CT, spine. 443 mm image width. Sagittal slice 266/512. Bone window (WL 400, WW 1800). 512x850 px
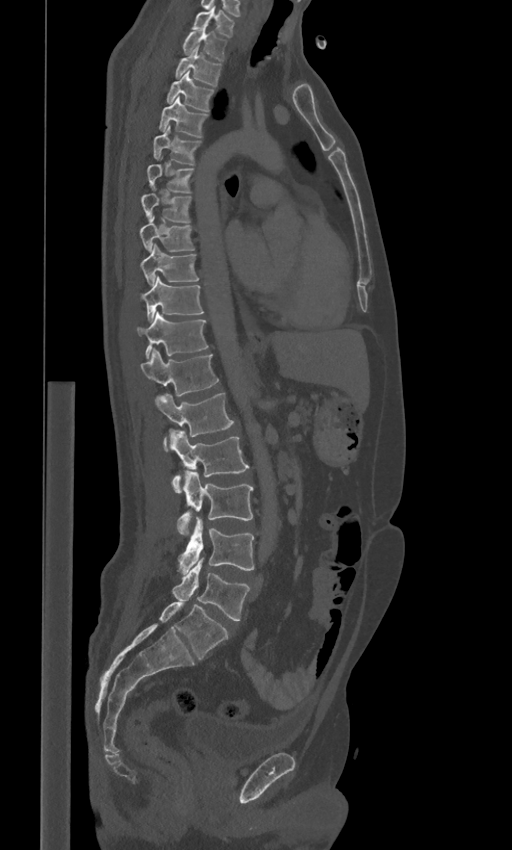 Box edges are left/top/right/bottom in pixels.
In these labels the spine has an L6, a sixth lumbar vertebra below L5.
| vertebra | x1 | y1 | x2 | y2 |
|---|---|---|---|---|
| C7 | 192 | 5 | 235 | 36 |
| T1 | 183 | 27 | 227 | 60 |
| T2 | 174 | 45 | 221 | 86 |
| T3 | 166 | 70 | 214 | 111 |
| T4 | 158 | 97 | 207 | 137 |
| T5 | 154 | 125 | 200 | 164 |
| T6 | 147 | 164 | 193 | 192 |
| T7 | 141 | 193 | 191 | 223 |
| T8 | 140 | 216 | 194 | 252 |
| T9 | 140 | 244 | 199 | 285 |
| T10 | 141 | 276 | 203 | 318 |
| T11 | 136 | 313 | 208 | 357 |
| T12 | 141 | 348 | 219 | 395 |
| L1 | 155 | 393 | 234 | 450 |
| L2 | 169 | 430 | 249 | 492 |
| L3 | 178 | 471 | 253 | 535 |
| L4 | 178 | 516 | 254 | 574 |
| L5 | 172 | 559 | 250 | 620 |
| L6 | 159 | 602 | 228 | 660 |